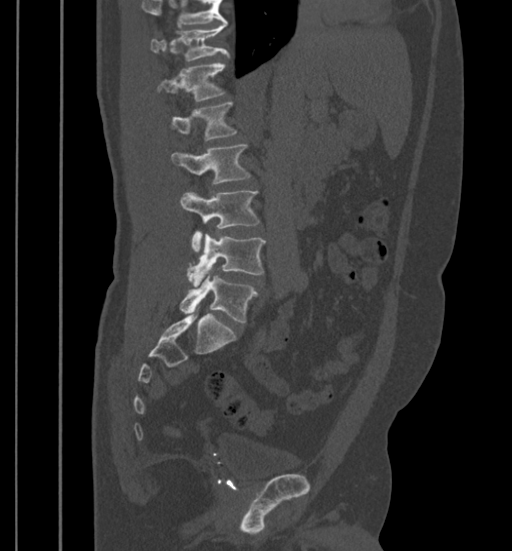

Computed tomography of the spine — sagittal reformat — W/L 1800/400 HU — 512x551 px
Where the top of the scan cuts through a vertebra, that vertebra gets no label or box.
<vertebrae><v name="L5" x1="180" y1="274" x2="257" y2="322"/><v name="L4" x1="187" y1="233" x2="264" y2="285"/><v name="L3" x1="180" y1="191" x2="259" y2="252"/><v name="L2" x1="172" y1="145" x2="250" y2="184"/><v name="L1" x1="172" y1="101" x2="236" y2="140"/><v name="T12" x1="158" y1="63" x2="225" y2="102"/><v name="T11" x1="150" y1="25" x2="229" y2="61"/></vertebrae>